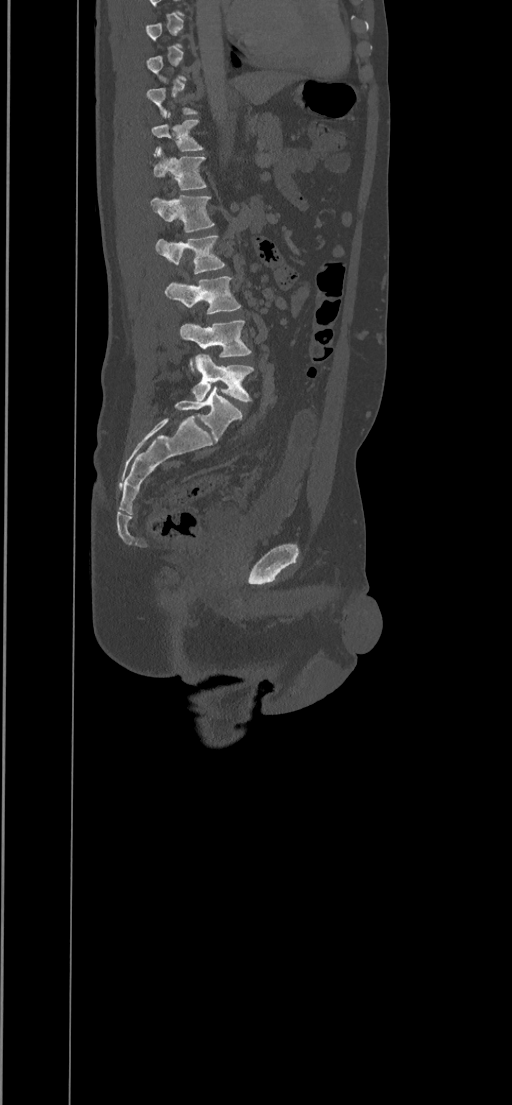

Spine computed tomography · sagittal view · bone-window reconstruction · the image is 434 mm wide · 512x1105 px
A vertebra gets a box only on the slices from the first to the last where its cross-section is at least a third of its largest; on a slice outside that range it gets none.
<vertebrae><v name="L5" x1="192" y1="354" x2="253" y2="401"/><v name="L4" x1="179" y1="320" x2="251" y2="372"/><v name="L3" x1="164" y1="276" x2="241" y2="314"/><v name="L2" x1="155" y1="235" x2="224" y2="274"/><v name="L1" x1="150" y1="194" x2="214" y2="232"/><v name="T12" x1="153" y1="149" x2="206" y2="190"/><v name="T11" x1="151" y1="113" x2="203" y2="156"/></vertebrae>